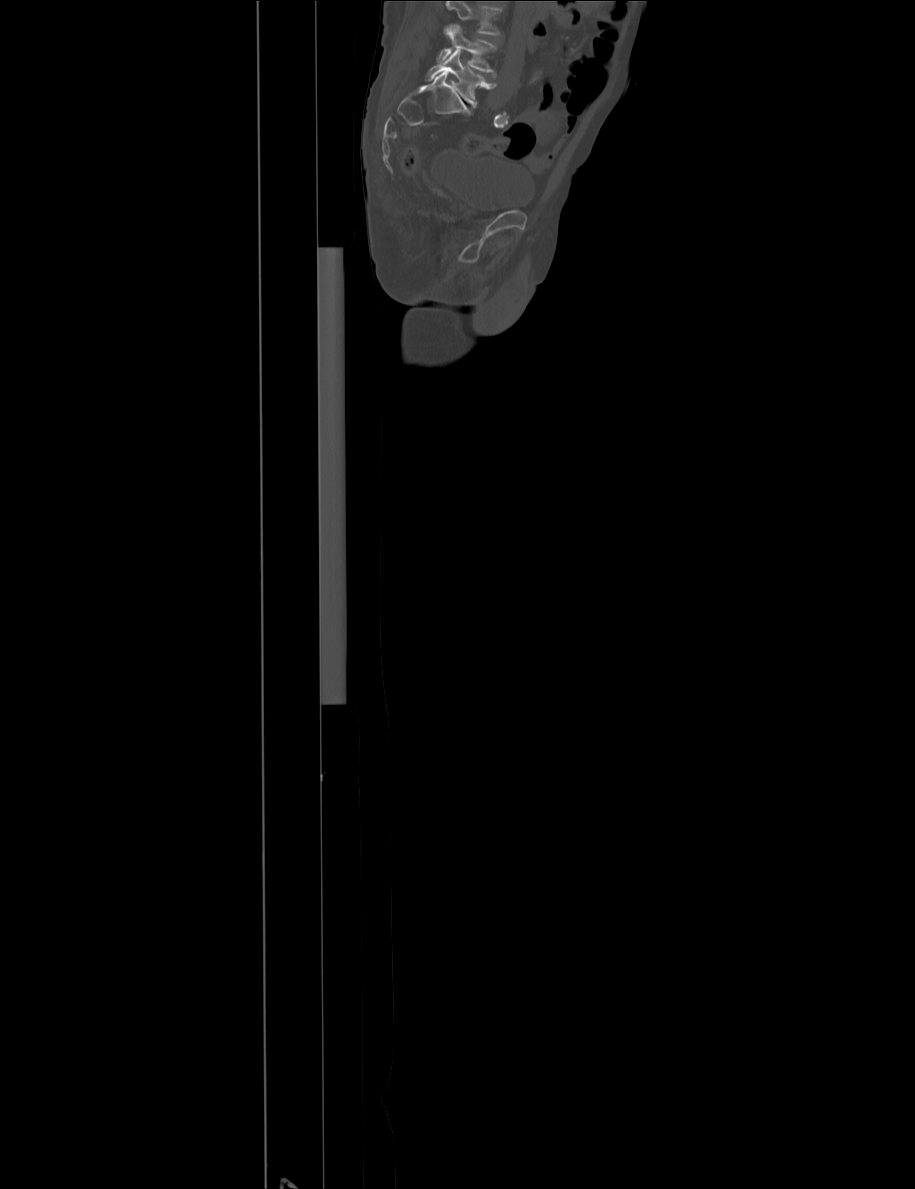 Computed tomography of the spine; sagittal view; the image is 915 mm wide; bone-window reconstruction

Coordinates as <box>x1,y1,x2,y2</box>.
Vertebrae that run past the top of the scan are left unlabeled.
Vertebra bounding boxes:
- L5: <box>424,49,496,106</box>
- L4: <box>437,24,496,73</box>